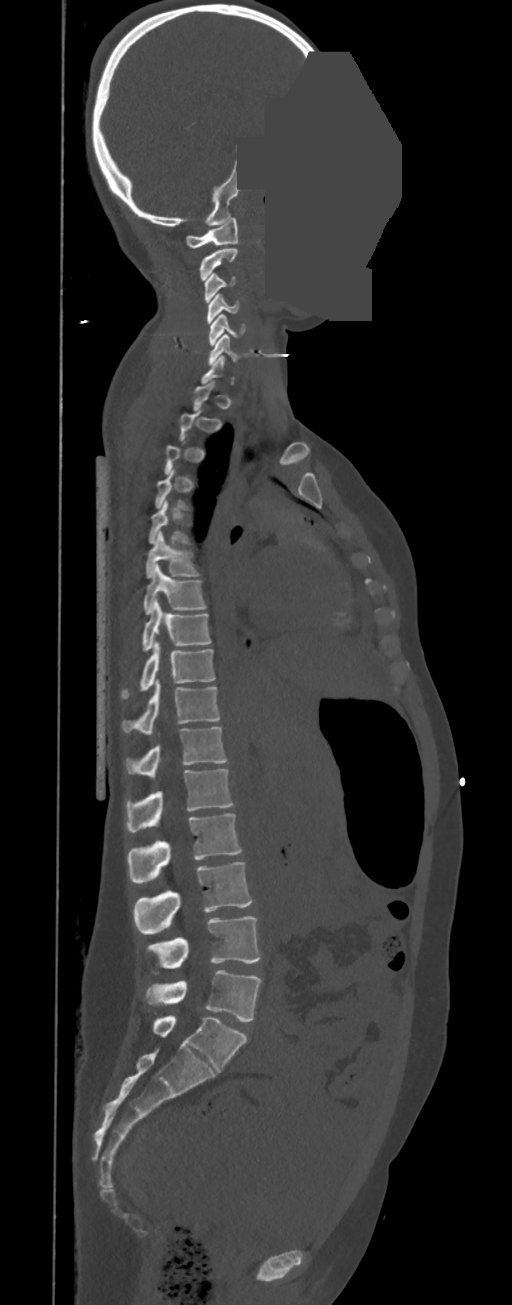
CT; sagittal view; bone window; a uniform gray block covers part of the image

Coordinates as <box>x1,y1,x2,y2</box>.
A vertebra gets a box only on the slices from the first to the last where its cross-section is at least a third of its largest; on a slice outside that range it gets none.
In these labels the thoracic vertebrae end at T11, so L1 follows T11.
C1: <box>186,217,237,248</box>
C2: <box>200,248,237,281</box>
C3: <box>204,273,236,302</box>
C4: <box>207,294,239,323</box>
C5: <box>209,315,245,345</box>
C6: <box>209,334,248,365</box>
T5: <box>149,500,189,543</box>
T6: <box>146,531,199,577</box>
T7: <box>143,565,206,614</box>
T8: <box>142,598,211,649</box>
T9: <box>121,641,215,698</box>
T10: <box>123,679,220,734</box>
T11: <box>126,727,227,780</box>
L1: <box>126,769,234,832</box>
L2: <box>127,814,242,882</box>
L3: <box>133,862,252,934</box>
L4: <box>148,916,261,973</box>
L5: <box>145,970,261,1022</box>